Spine CT — sagittal reformat — Bone window (WL 400, WW 1800) — 531x786 px — scan covers 17 annotated vertebrae
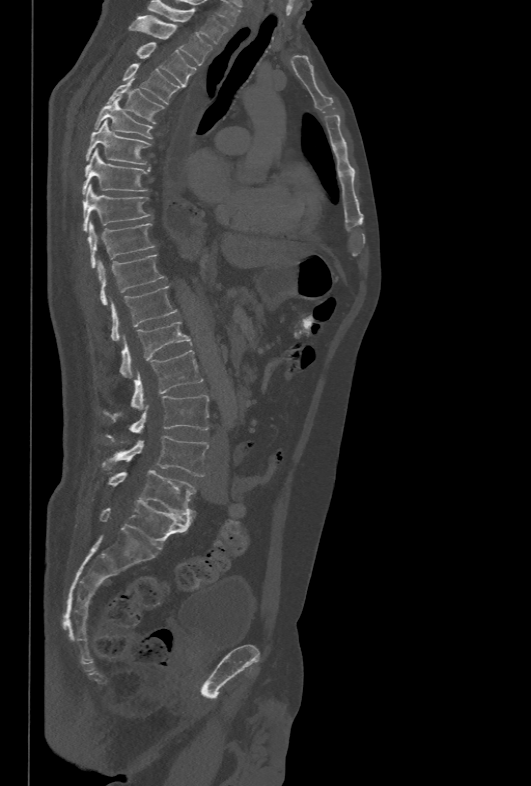
Coordinates as <box>x1,y1,x2,y2</box>. 17 vertebrae labeled — T1 at <box>147,0,227,44</box>; T2 at <box>129,15,213,65</box>; T3 at <box>136,42,196,86</box>; T4 at <box>122,63,182,104</box>; T5 at <box>107,79,165,123</box>; T6 at <box>94,98,153,138</box>; T7 at <box>85,120,150,164</box>; T8 at <box>82,148,150,194</box>; T9 at <box>83,184,151,231</box>; T10 at <box>88,222,155,268</box>; T11 at <box>96,254,165,305</box>; T12 at <box>110,286,177,342</box>; L1 at <box>120,322,191,377</box>; L2 at <box>130,349,202,409</box>; L3 at <box>107,395,209,437</box>; L4 at <box>101,436,208,476</box>; L5 at <box>107,470,196,514</box>.